CT · 195 mm across the image · sagittal view
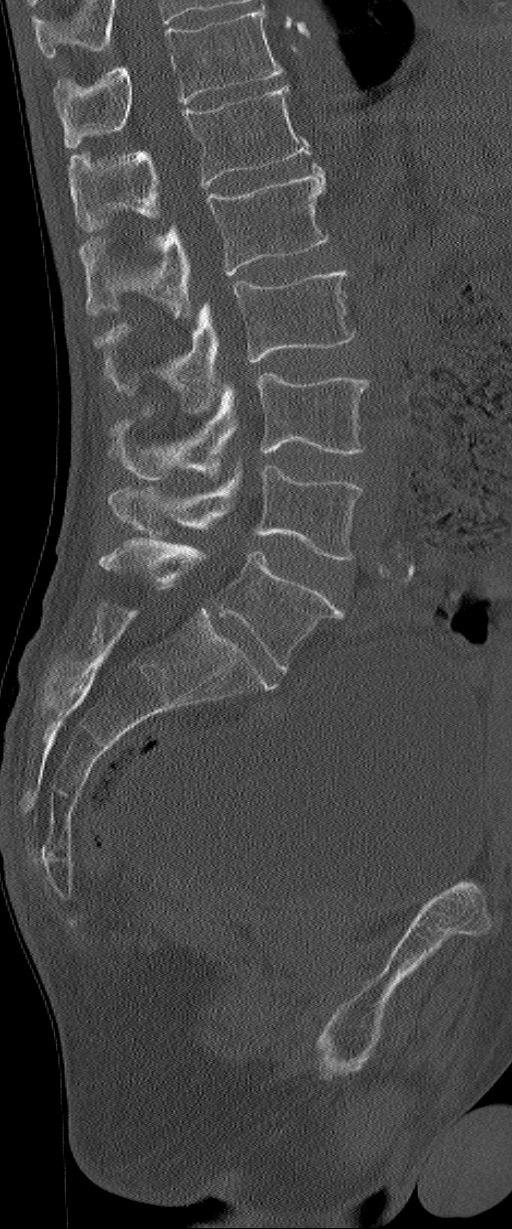 Each row gives a vertebra's box as x1, y1, x2, y2 in pixels: top-left corner, then bottom-right corner.
This scan's labels start at L1 at the top and end at L6 at the bottom.
In these labels the spine has an L6, a sixth lumbar vertebra below L5.
| vertebra | x1 | y1 | x2 | y2 |
|---|---|---|---|---|
| L1 | 69 | 85 | 310 | 231 |
| L2 | 80 | 164 | 328 | 320 |
| L3 | 95 | 269 | 354 | 415 |
| L4 | 111 | 374 | 370 | 480 |
| L5 | 111 | 466 | 362 | 559 |
| L6 | 98 | 537 | 344 | 669 |